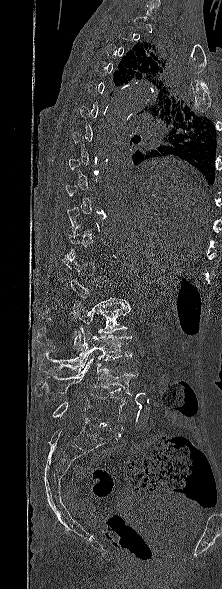
CT; sagittal view; 222x589 px. Each box given as x1,y1,x2,y2. A vertebra gets a box only on the slices from the first to the last where its cross-section is at least a third of its largest; on a slice outside that range it gets none. Vertebrae labeled: L2 at x1=37, y1=302, x2=130, y2=351, L3 at x1=36, y1=327, x2=132, y2=372, L4 at x1=34, y1=358, x2=138, y2=396, L5 at x1=52, y1=394, x2=124, y2=430.